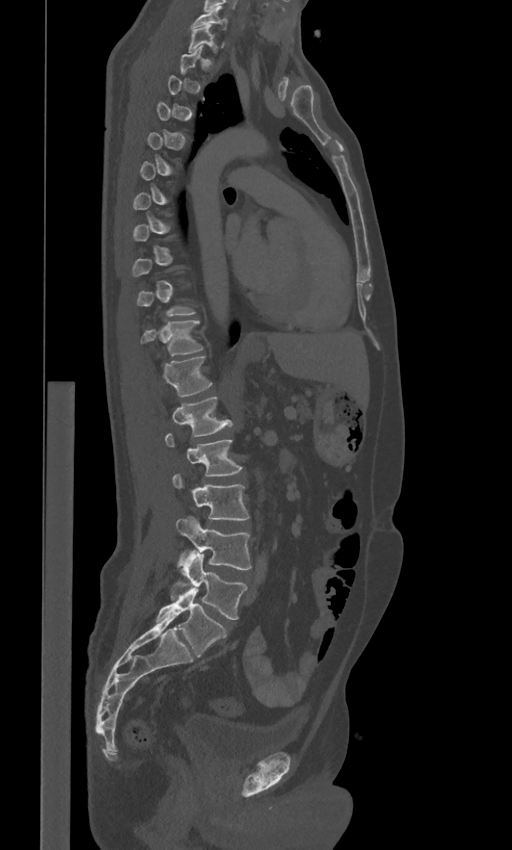

CT · sagittal view · bone window
Not every vertebra on this slice has a box: a vertebra is boxed only from the first to the last slice where its cross-section is at least a third of its largest, and this slice is outside that range for at least one of them.
The labels name a sixth lumbar vertebra for this spine: L6, after L5.
<vertebrae><v name="C7" x1="192" y1="7" x2="227" y2="29"/><v name="T1" x1="189" y1="24" x2="216" y2="52"/><v name="T11" x1="141" y1="320" x2="202" y2="356"/><v name="T12" x1="164" y1="357" x2="212" y2="395"/><v name="L1" x1="172" y1="396" x2="232" y2="436"/><v name="L2" x1="165" y1="434" x2="242" y2="475"/><v name="L3" x1="173" y1="474" x2="249" y2="519"/><v name="L4" x1="176" y1="517" x2="251" y2="569"/><v name="L5" x1="171" y1="550" x2="246" y2="619"/><v name="L6" x1="156" y1="581" x2="227" y2="656"/></vertebrae>